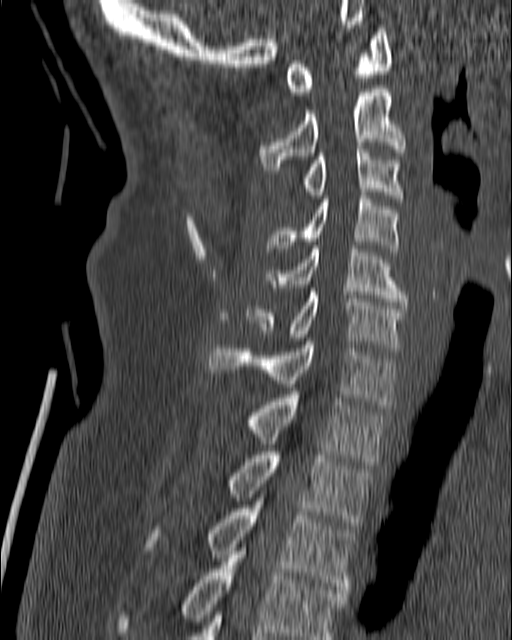

CT — sagittal reformat — bone window — 180 mm image width
<vertebrae><v name="T4" x1="116" y1="544" x2="347" y2="639"/><v name="T3" x1="145" y1="501" x2="355" y2="596"/><v name="T2" x1="226" y1="452" x2="373" y2="532"/><v name="T1" x1="246" y1="395" x2="387" y2="465"/><v name="C7" x1="209" y1="341" x2="398" y2="408"/><v name="C6" x1="246" y1="288" x2="407" y2="347"/><v name="C5" x1="265" y1="245" x2="407" y2="305"/><v name="C4" x1="265" y1="192" x2="398" y2="251"/><v name="C3" x1="302" y1="146" x2="404" y2="202"/><v name="C2" x1="260" y1="85" x2="406" y2="173"/><v name="C1" x1="285" y1="28" x2="392" y2="95"/></vertebrae>